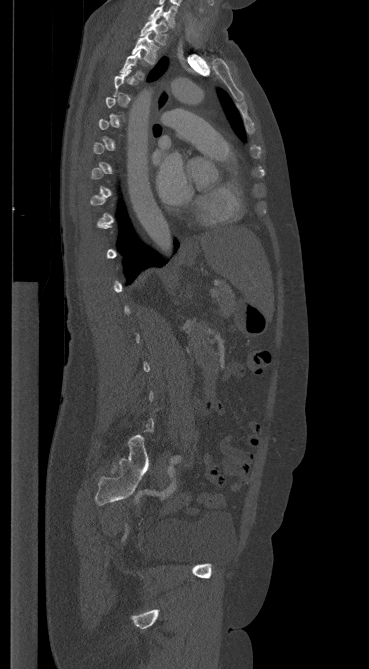

Spine computed tomography · sagittal view · 369x669 px
Box edges are left/top/right/bottom in pixels.
A vertebra gets a box only on the slices from the first to the last where its cross-section is at least a third of its largest; on a slice outside that range it gets none.
Vertebra bounding boxes:
- C7: left=149, top=5, right=177, bottom=27
- T1: left=140, top=18, right=167, bottom=44
- T2: left=132, top=32, right=158, bottom=63
- T3: left=121, top=50, right=145, bottom=78